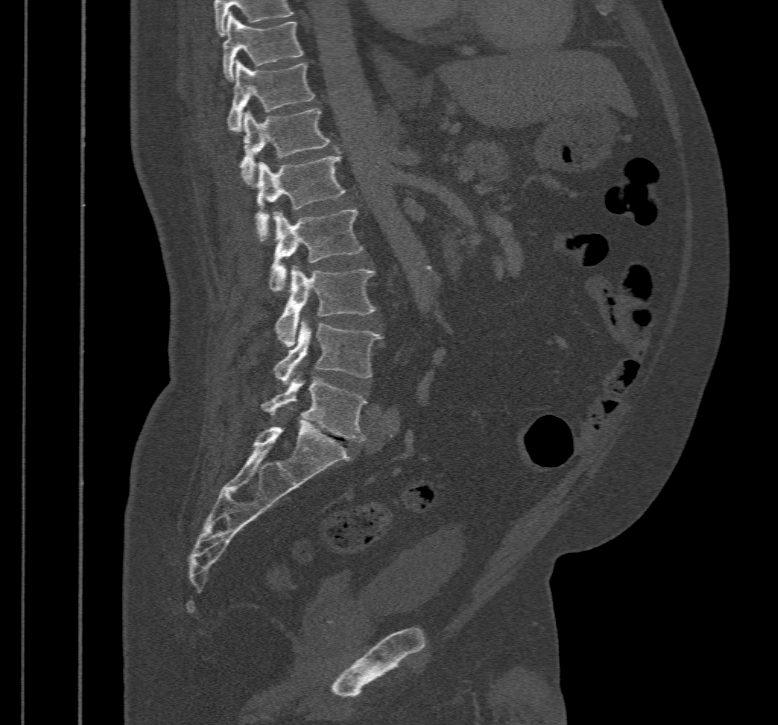 Spine CT — sagittal view — bone-window reconstruction — image 467 mm wide
Boxes are (x1, y1, x2, y2) in pixels.
T10: (223, 12, 303, 81)
T11: (227, 60, 314, 131)
T12: (240, 109, 329, 186)
L1: (255, 152, 346, 241)
L2: (268, 209, 362, 291)
L3: (275, 265, 376, 346)
L4: (275, 319, 381, 386)
L5: (261, 372, 365, 441)